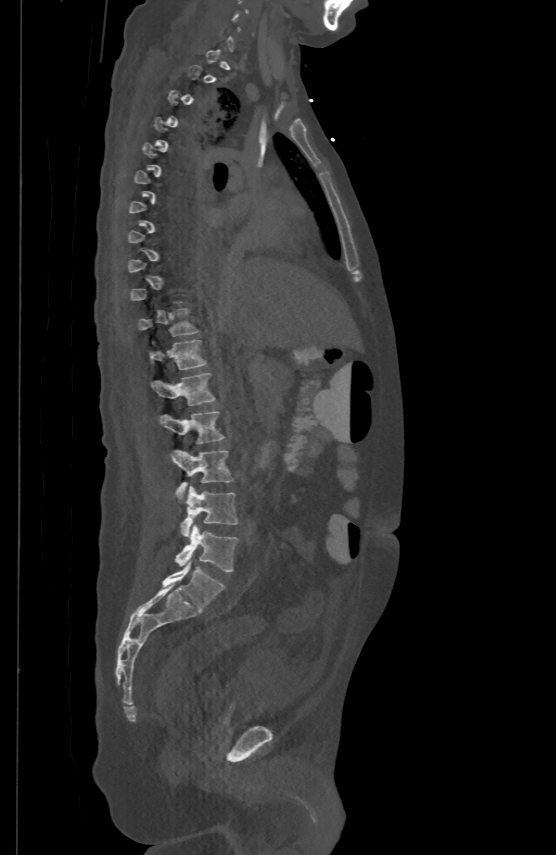

Computed tomography of the spine — sagittal view — Bone window (WL 400, WW 1800)
A vertebra is boxed only from the first to the last slice where its cross-section is at least a third of its largest; slices outside that range leave it without a box.
<vertebrae><v name="T11" x1="138" y1="307" x2="199" y2="335"/><v name="T12" x1="149" y1="339" x2="206" y2="369"/><v name="L1" x1="151" y1="372" x2="215" y2="404"/><v name="L2" x1="160" y1="410" x2="225" y2="444"/><v name="L3" x1="171" y1="450" x2="233" y2="497"/><v name="L4" x1="180" y1="486" x2="238" y2="536"/><v name="L5" x1="176" y1="525" x2="238" y2="572"/></vertebrae>